CT, spine. sagittal view. W/L 1800/400 HU. 512x640 px. 11 vertebrae labeled in this scan
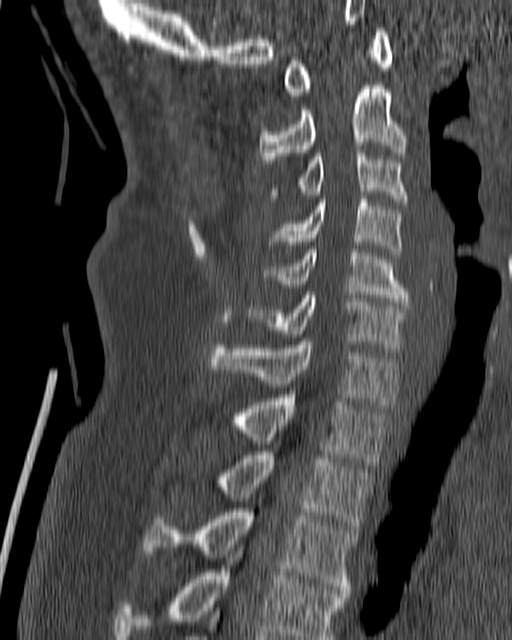 Boxes: x1 y1 x2 y2 (pixel coords, space-separated). Vertebrae labeled: C1 at 282 28 392 95, C2 at 259 82 407 159, C3 at 270 149 409 205, C4 at 268 196 401 255, C5 at 265 249 410 305, C6 at 246 292 408 347, C7 at 209 338 398 408, T1 at 231 395 387 465, T2 at 214 452 373 532, T3 at 143 508 355 593, T4 at 112 544 347 639.